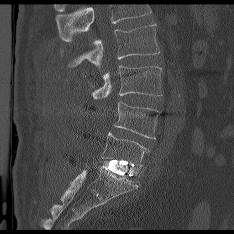

CT, spine; sagittal view; bone-window reconstruction; 234x234 px
Each box is [x1, y1, x2, y2] in pixels: top-left corner, then bottom-right corner.
A vertebra cut off by the top edge of the scan is not labeled and has no box.
{"vertebrae":{"L5":[101,132,148,169],"L4":[114,101,157,139],"L3":[92,65,161,98],"L2":[68,24,159,67]}}